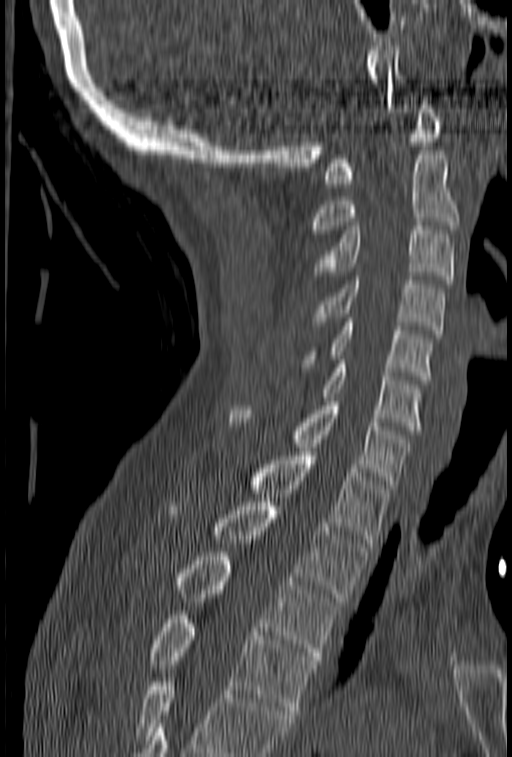
Spine CT. sagittal view. bone window

Box edges are left/top/right/bottom in pixels.
No box is given to a vertebra that the bottom edge of the scan cuts off.
| vertebra | x1 | y1 | x2 | y2 |
|---|---|---|---|---|
| C1 | 324 | 96 | 442 | 187 |
| C2 | 313 | 151 | 459 | 233 |
| C3 | 314 | 226 | 454 | 283 |
| C4 | 313 | 276 | 445 | 334 |
| C5 | 303 | 314 | 433 | 380 |
| C6 | 322 | 360 | 422 | 434 |
| C7 | 229 | 397 | 408 | 488 |
| T1 | 249 | 452 | 388 | 547 |
| T2 | 168 | 502 | 368 | 601 |
| T3 | 130 | 552 | 338 | 660 |
| T4 | 145 | 615 | 315 | 714 |